CT. sagittal view. W/L 1800/400 HU. scan covers 9 annotated vertebrae. part of the scan has been removed (filled with constant black)
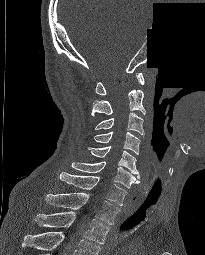

Boxes are (x1, y1, x2, y2) in pixels.
The highest labeled vertebra in this scan is C1; the lowest is T2.
C1: (95, 72, 144, 94)
C2: (91, 89, 145, 116)
C3: (94, 112, 144, 136)
C4: (93, 131, 140, 154)
C5: (87, 146, 139, 178)
C6: (70, 161, 139, 188)
C7: (59, 172, 127, 206)
T1: (45, 192, 119, 224)
T2: (34, 211, 109, 243)